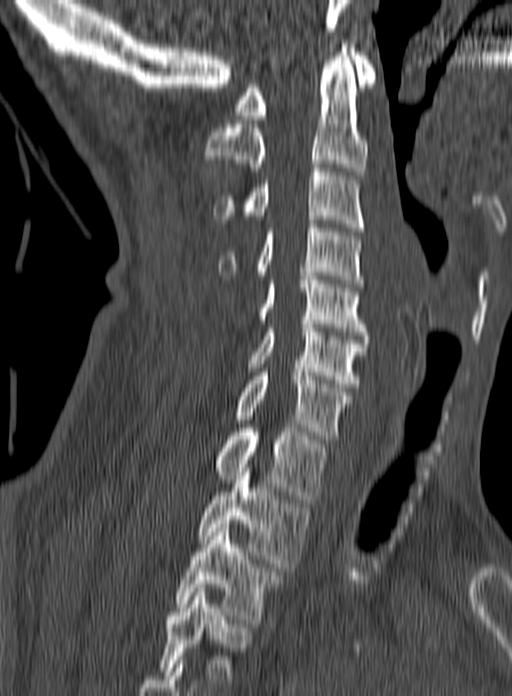

Computed tomography of the spine · sagittal view
Box values are [left, top, right, bottom] in pixels.
In this scan, the topmost labeled vertebra is C1 and the lowest is T3.
{"vertebrae":{"C1":[234,48,376,119],"C2":[203,44,368,175],"C3":[213,164,365,231],"C4":[218,224,364,287],"C5":[259,272,368,335],"C6":[248,324,368,387],"C7":[235,372,352,443],"T1":[212,424,327,503],"T2":[196,464,311,567],"T3":[174,524,285,623]}}